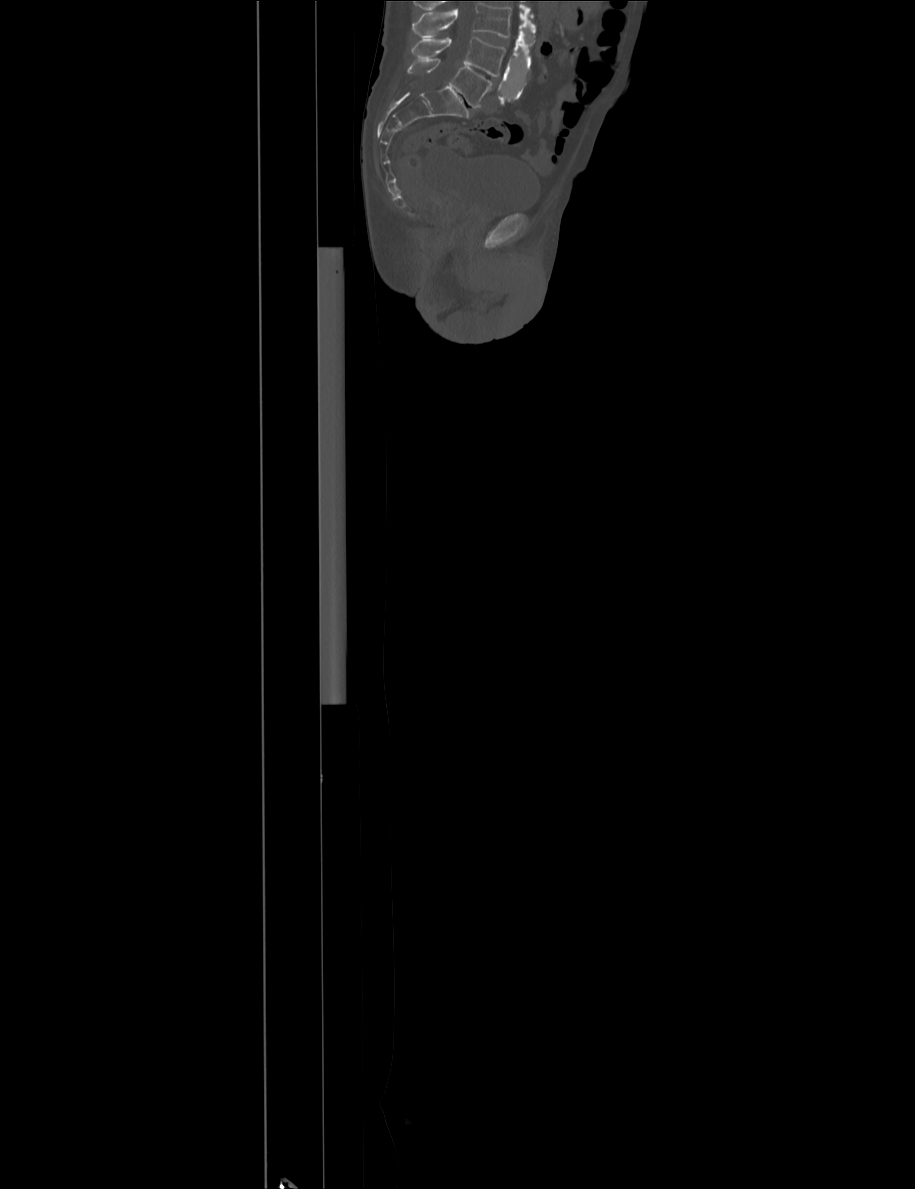
Spine CT — sagittal reformat — bone-window reconstruction — 915 mm image width
Each vertebra maps to its box as [x1, y1, x2, y2], the pixel coordinates of its top-left and bottom-right corners.
Vertebrae that run past the top of the scan are left unlabeled.
{"vertebrae":{"L4":[411,37,505,76],"L5":[407,58,491,107]}}